Spine computed tomography; sagittal view
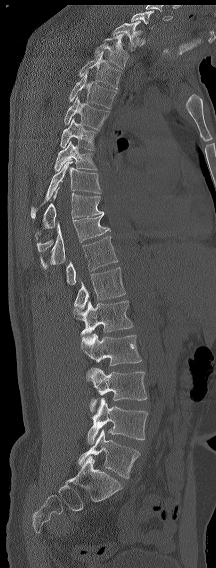

Box values are [left, top, right, bottom] in pixels.
A vertebra is boxed only from the first to the last slice where its cross-section is at least a third of its largest; slices outside that range leave it without a box.
The highest labeled vertebra in this scan is C7; the lowest is L6.
In these labels the spine has an L6, a sixth lumbar vertebra below L5.
{"vertebrae":{"C7":[131,11,153,29],"T1":[111,21,142,50],"T2":[94,34,128,68],"T3":[78,51,122,89],"T4":[69,72,117,108],"T5":[64,96,110,130],"T6":[60,118,97,150],"T7":[54,141,97,171],"T8":[31,161,101,218],"T9":[35,187,103,239],"T11":[40,214,110,268],"T12":[66,236,117,284],"L1":[74,267,125,309],"L2":[74,300,133,342],"L3":[81,333,141,365],"L4":[86,368,147,412],"L5":[87,398,147,444],"L6":[78,429,140,478]}}